Computed tomography of the spine — sagittal view — bone window — 768x1012 px
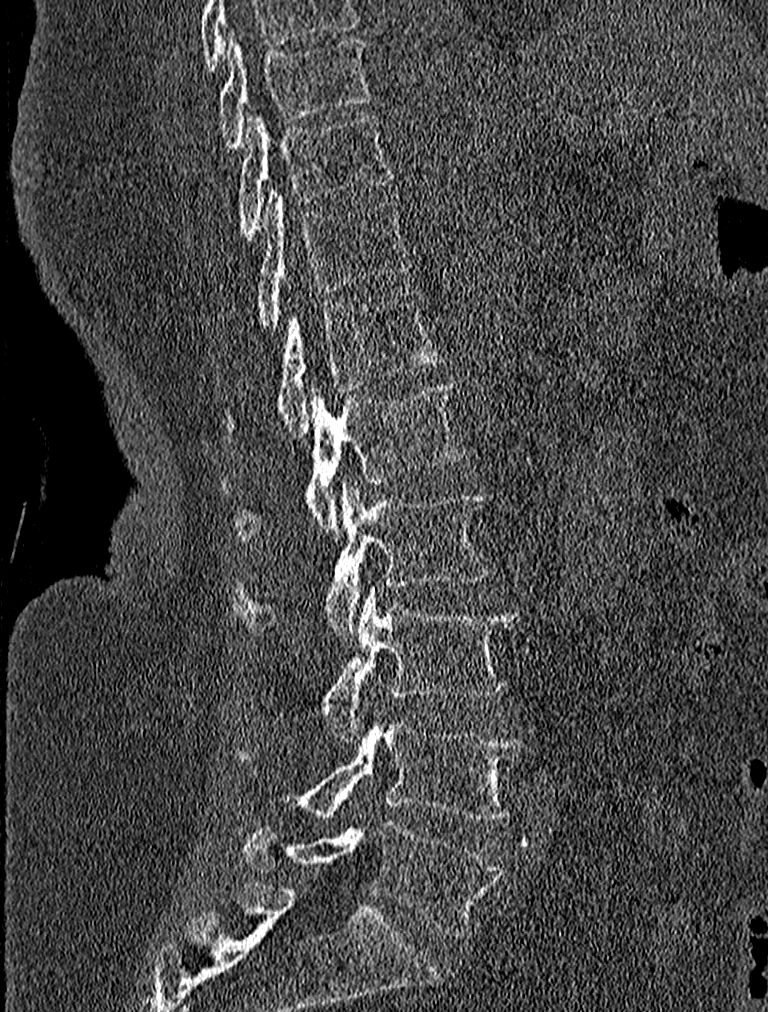

<vertebrae><v name="T9" x1="219" y1="33" x2="370" y2="147"/><v name="T10" x1="239" y1="111" x2="394" y2="240"/><v name="T11" x1="254" y1="187" x2="411" y2="331"/><v name="T12" x1="222" y1="288" x2="444" y2="437"/><v name="L1" x1="224" y1="382" x2="465" y2="543"/><v name="L2" x1="232" y1="481" x2="492" y2="637"/><v name="L3" x1="320" y1="586" x2="519" y2="739"/><v name="L4" x1="286" y1="709" x2="523" y2="820"/><v name="L5" x1="246" y1="821" x2="502" y2="935"/></vertebrae>